Spine computed tomography · sagittal reformat · Bone window (WL 400, WW 1800) · the image is 205 mm wide · an area of the scan was removed and filled with constant pixels
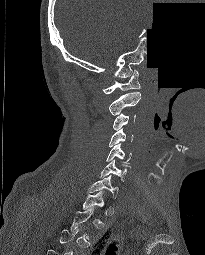

Boxes are (x1, y1, x2, y2) in pixels. Not every vertebra on this slice has a box: a vertebra is boxed only from the first to the last slice where its cross-section is at least a third of its largest, and this slice is outside that range for at least one of them. The labeled vertebrae in this slice are: C1 at (102, 70, 140, 94), C2 at (108, 91, 141, 115), C3 at (113, 113, 136, 130), C4 at (109, 128, 133, 147), C5 at (106, 143, 131, 163), C6 at (99, 159, 130, 181), C7 at (87, 175, 118, 197).